CT, spine · sagittal reformat · 523x792 px
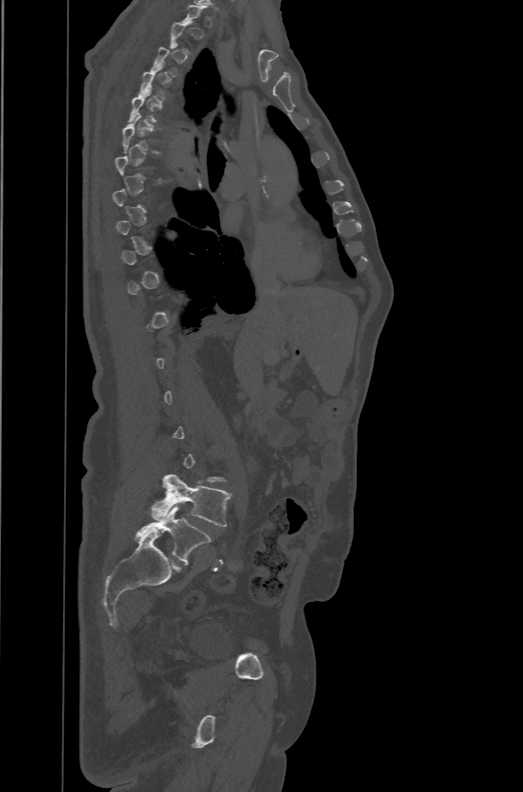
Boxes below are [x1, y1, x2, y2] in pixels.
Not every vertebra on this slice has a box: a vertebra is boxed only from the first to the last slice where its cross-section is at least a third of its largest, and this slice is outside that range for at least one of them.
In these labels the spine has an L6, a sixth lumbar vertebra below L5.
{"vertebrae":{"L5":[151,474,231,527],"L6":[135,506,212,563]}}